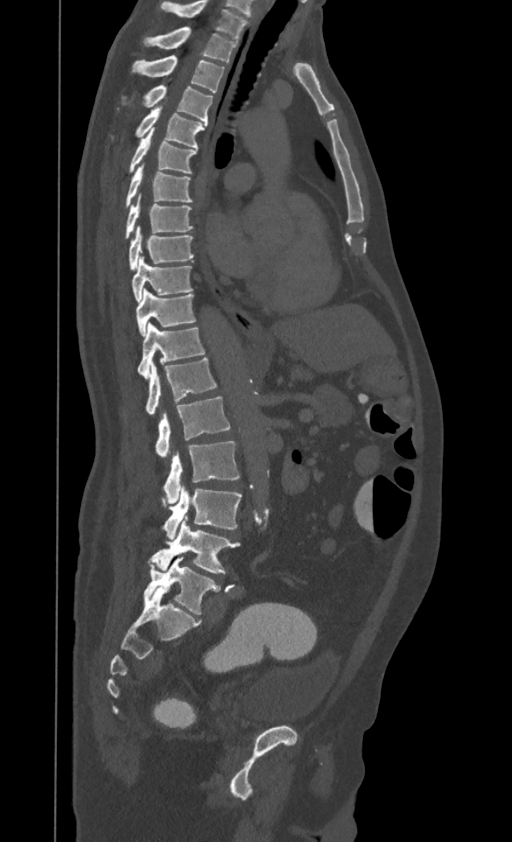

Spine computed tomography; 395 mm across the image; sagittal view; 512x842 px
Boxes: x1:y1:x2:y2 in pixels.
This scan's labels start at T1 at the top and end at L4 at the bottom.
T1: 144:27:237:62
T2: 132:56:224:92
T3: 122:84:213:124
T4: 136:106:206:148
T5: 129:128:197:173
T6: 126:164:192:208
T7: 126:195:192:238
T8: 129:226:193:270
T9: 132:257:192:302
T10: 136:289:195:336
T11: 137:323:205:377
T12: 145:358:217:415
L1: 155:397:230:456
L2: 163:441:240:503
L3: 163:486:241:539
L4: 149:516:240:573